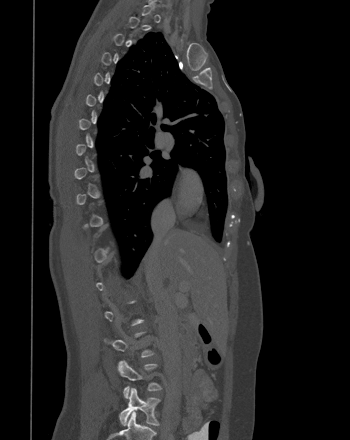 Computed tomography of the spine — sagittal view — W/L 1800/400 HU — 350x440 px

Boxes: x1:y1:x2:y2 in pixels. A vertebra is boxed only from the first to the last slice where its cross-section is at least a third of its largest; slices outside that range leave it without a box. Vertebrae labeled: L4 at 117:360:162:398, L5 at 119:388:160:425.